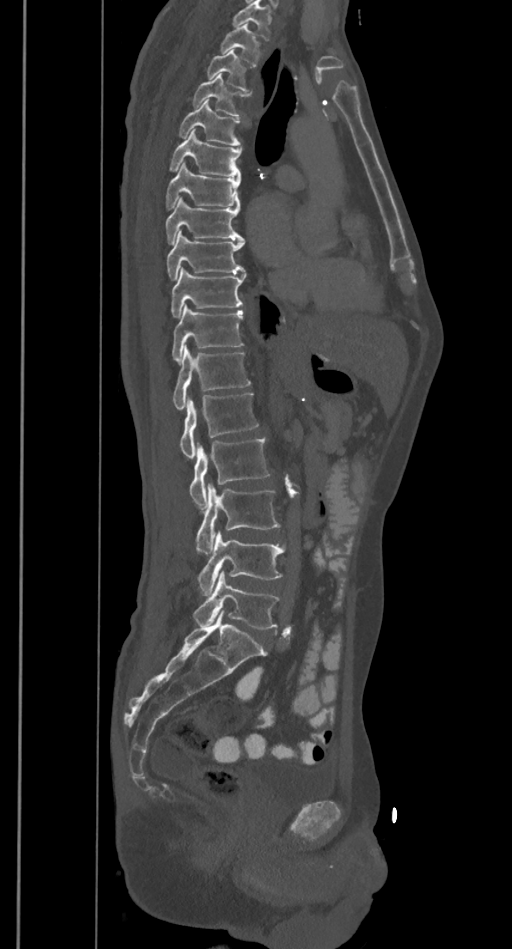 CT. the image is 385 mm wide. sagittal view. bone-window reconstruction. Boxes: x1 y1 x2 y2 (pixel coords, space-separated).
Vertebrae that run past the top of the scan are left unlabeled.
T2: 221 24 261 65
T3: 206 49 253 90
T4: 191 74 249 115
T5: 178 99 241 145
T6: 169 130 241 177
T7: 166 163 241 208
T8: 165 197 244 243
T9: 166 230 245 279
T10: 170 268 246 317
T11: 172 305 244 363
T12: 173 346 250 410
L1: 179 394 258 459
L2: 189 437 270 509
L3: 195 484 279 553
L4: 198 531 285 596
L5: 193 571 279 629